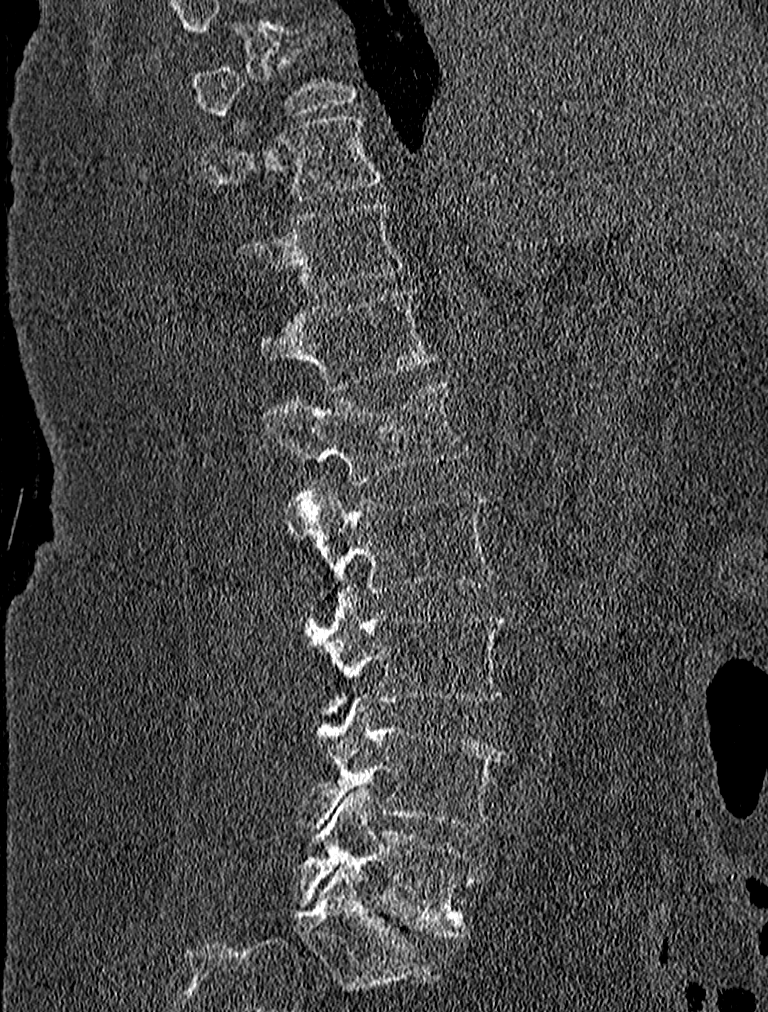

Spine CT; sagittal view; 227 mm wide; 768x1012 px
Bounding boxes as [x1, y1, x2, y2] in pixel coordinates.
This scan's labels start at T9 at the top and end at L5 at the bottom.
T9: [192, 50, 356, 133]
T10: [202, 116, 384, 212]
T11: [236, 202, 404, 293]
T12: [259, 288, 438, 389]
L1: [262, 379, 468, 483]
L2: [286, 481, 495, 593]
L3: [302, 588, 509, 715]
L4: [295, 696, 507, 829]
L5: [297, 787, 482, 938]